Computed tomography of the spine. image 385 mm wide. sagittal view. W/L 1800/400 HU. 512x949 px
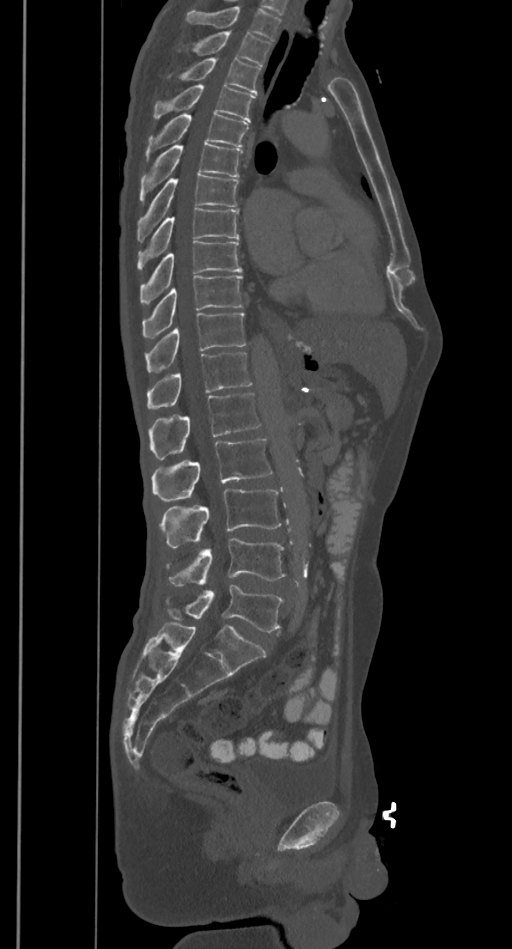 Each vertebra maps to its box as [x1, y1, x2, y2], the pixel coordinates of its top-left and bottom-right corners.
Vertebrae that run past the top of the scan are left unlabeled.
{"vertebrae":{"T2":[178,31,271,66],"T3":[167,59,261,94],"T4":[154,85,255,121],"T5":[145,113,248,161],"T6":[139,142,242,202],"T7":[137,174,238,241],"T8":[137,208,240,269],"T9":[139,241,242,303],"T10":[142,275,242,338],"T11":[145,312,246,371],"T12":[146,352,252,408],"L1":[149,394,261,459],"L2":[151,438,271,502],"L3":[159,490,281,548],"L4":[166,539,286,585],"L5":[165,585,283,632]}}